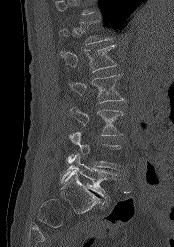

CT spine; sagittal reformat; bone-window reconstruction; 174x247 px
Each vertebra is boxed only on the slices from the first to the last where its cross-section reaches a third of its largest, so a slice outside that range leaves it unboxed.
<vertebrae><v name="L1" x1="60" y1="45" x2="117" y2="72"/><v name="L2" x1="68" y1="74" x2="124" y2="102"/><v name="L3" x1="70" y1="107" x2="123" y2="135"/><v name="L4" x1="68" y1="130" x2="120" y2="169"/><v name="L5" x1="61" y1="153" x2="116" y2="200"/></vertebrae>